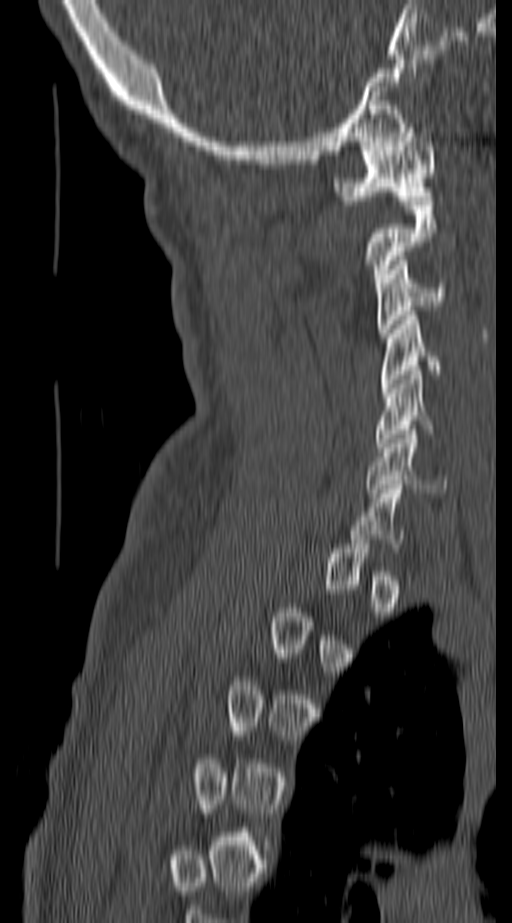

Computed tomography of the spine — sagittal view — bone-window reconstruction
Coordinates as <box>x1,y1,x2,y2</box>.
Not every vertebra on this slice has a box: a vertebra is boxed only from the first to the last slice where its cross-section is at least a third of its largest, and this slice is outside that range for at least one of them.
Vertebra bounding boxes:
- C6: <box>366,430,446,493</box>
- C5: <box>373,370,432,452</box>
- C4: <box>382,315,443,388</box>
- C3: <box>378,256,446,337</box>
- C2: <box>367,201,436,287</box>
- C1: <box>334,123,436,200</box>